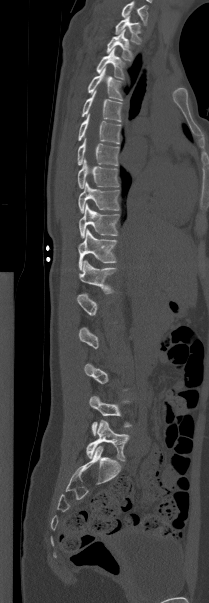

CT, spine; sagittal reformat; 209x603 px

Boxes: x1:y1:x2:y2 in pixels.
Not every vertebra on this slice has a box: a vertebra is boxed only from the first to the last slice where its cross-section is at least a third of its largest, and this slice is outside that range for at least one of them.
In this scan, the topmost labeled vertebra is T1 and the lowest is L5.
Vertebra bounding boxes:
- L5: 86:420:129:461
- L4: 89:396:131:435
- T12: 78:260:116:293
- T11: 78:229:117:270
- T10: 79:204:119:238
- T9: 78:181:119:213
- T8: 77:159:119:188
- T7: 77:138:118:165
- T6: 78:114:120:143
- T5: 81:90:122:121
- T4: 87:68:123:100
- T3: 96:49:124:79
- T2: 106:29:132:60
- T1: 115:16:141:43